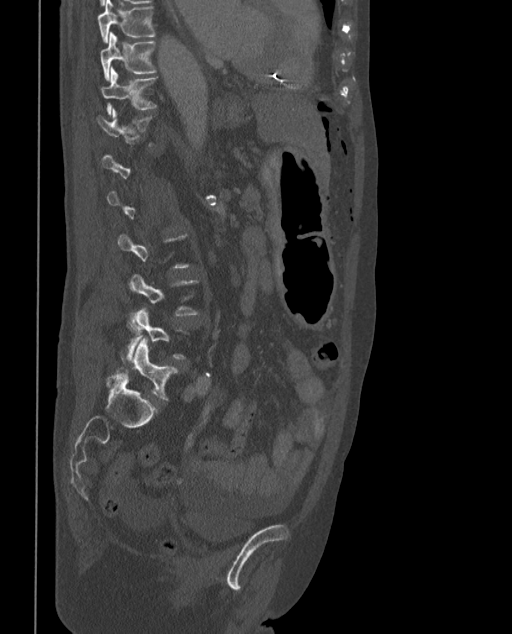
CT · sagittal reformat · the image spans 373 mm across
Bounding boxes as [x1, y1, x2, y2] in pixel coordinates. Each vertebra is boxed only on the slices from the first to the last where its cross-section reaches a third of its largest, so a slice outside that range leaves it unboxed. In these labels the spine has an L6, a sixth lumbar vertebra below L5. Vertebrae labeled: L6 at [116, 338, 177, 399], L5 at [121, 309, 184, 360], T11 at [100, 68, 157, 113], T10 at [100, 32, 155, 79], T9 at [97, 0, 155, 42].